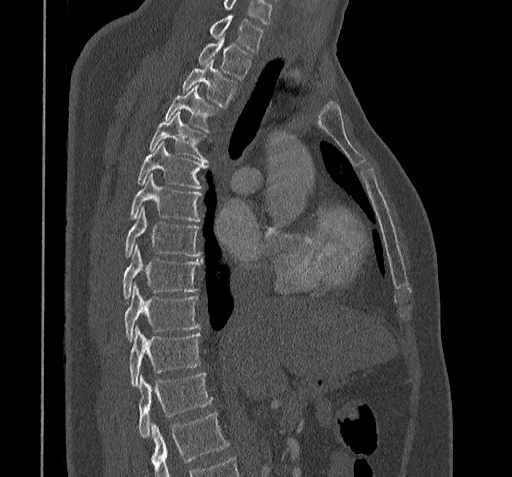

CT · sagittal view · Bone window (WL 400, WW 1800)

Boxes below are [x1, y1, x2, y2] in pixels.
No box is given to a vertebra that the bottom edge of the scan cuts off.
In this scan, the topmost labeled vertebra is C7 and the lowest is T11.
{"vertebrae":{"T11":[138,374,212,437],"T10":[128,326,201,385],"T9":[124,285,199,341],"T8":[122,246,201,301],"T7":[125,208,201,258],"T6":[128,175,202,221],"T5":[136,142,208,188],"T4":[149,113,207,162],"T3":[163,86,218,131],"T2":[183,59,237,106],"T1":[197,36,252,79],"C7":[208,16,264,51]}}